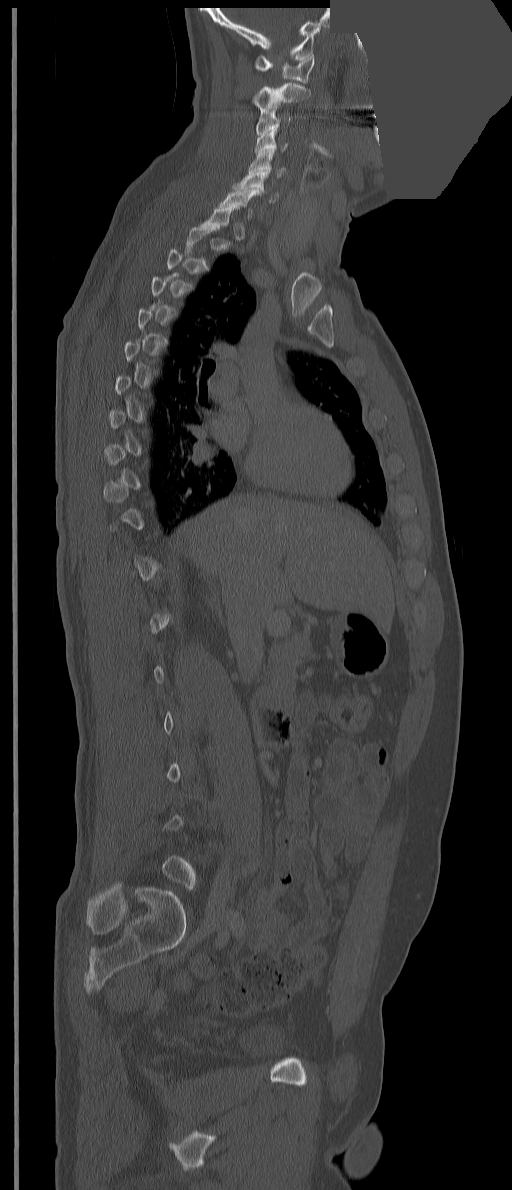

CT spine · sagittal view · 351 mm image width · a uniform gray block covers part of the image

Boxes are (x1, y1, x2, y2) in pixels. Each vertebra is boxed only on the slices from the first to the last where its cross-section reaches a third of its largest, so a slice outside that range leaves it unboxed. The labeled vertebrae in this slice are: C1 at (254, 54, 314, 83), C2 at (252, 82, 310, 114), C3 at (256, 110, 291, 135), C4 at (254, 129, 287, 153), C5 at (249, 149, 286, 177), C6 at (232, 171, 278, 202), C7 at (219, 189, 261, 219).